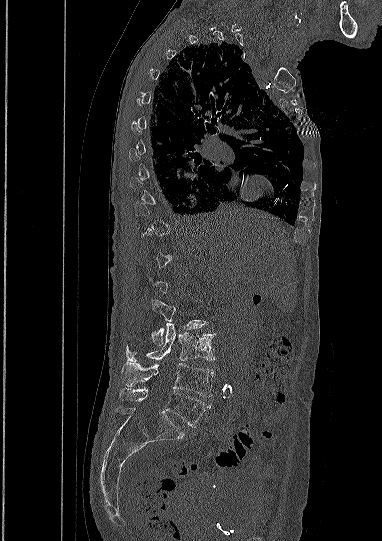 CT, spine; sagittal view; 382x541 px. Box edges are left/top/right/bottom in pixels.
Each vertebra is boxed only on the slices from the first to the last where its cross-section reaches a third of its largest, so a slice outside that range leaves it unboxed.
| vertebra | x1 | y1 | x2 | y2 |
|---|---|---|---|---|
| L5 | 119 | 387 | 210 | 426 |
| L4 | 121 | 362 | 214 | 396 |
| L3 | 125 | 322 | 214 | 362 |
| L2 | 152 | 300 | 205 | 345 |